Spine CT · sagittal view · bone window · 556x855 px
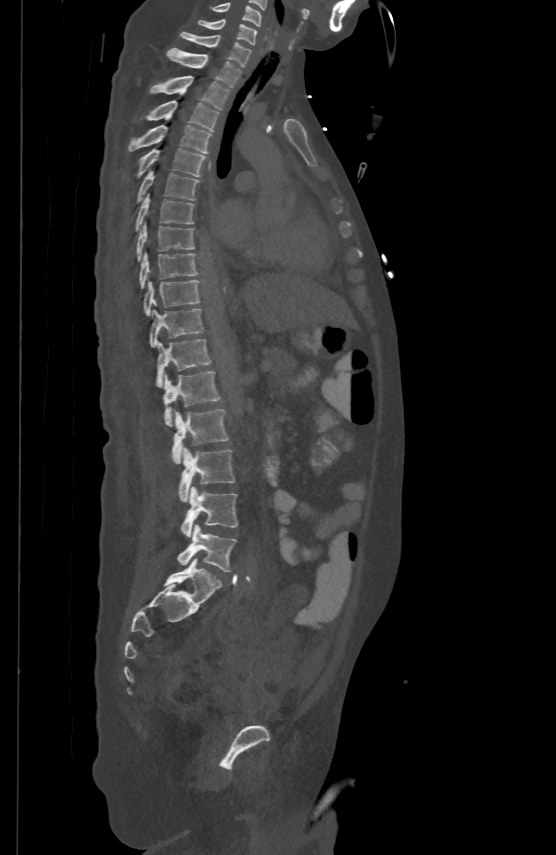

Coordinates as <box>x1,y1,x2,y2</box>.
Vertebra bounding boxes:
- L5: <box>178,524,237,572</box>
- L4: <box>181,486,238,536</box>
- L3: <box>179,447,234,501</box>
- L2: <box>171,409,229,463</box>
- L1: <box>164,370,220,425</box>
- T12: <box>156,339,212,385</box>
- T11: <box>150,307,203,346</box>
- T10: <box>143,279,199,314</box>
- T9: <box>139,252,196,288</box>
- T8: <box>137,223,194,260</box>
- T7: <box>136,194,194,230</box>
- T6: <box>137,170,199,201</box>
- T5: <box>137,147,204,176</box>
- T4: <box>129,124,212,152</box>
- T3: <box>146,100,218,130</box>
- T2: <box>150,75,229,109</box>
- T1: <box>167,47,241,86</box>
- C7: <box>181,31,251,65</box>
- C6: <box>197,17,257,43</box>
- C5: <box>211,2,262,25</box>